Spine CT — 300 mm across the image — sagittal plane, index 135
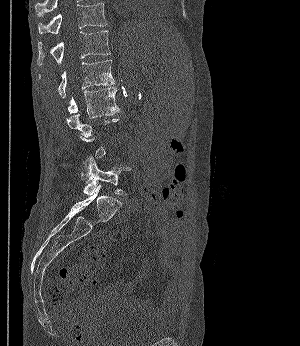
Each vertebra is boxed only on the slices from the first to the last where its cross-section reaches a third of its largest, so a slice outside that range leaves it unboxed.
<vertebrae><v name="T11" x1="38" y1="3" x2="106" y2="34"/><v name="T12" x1="37" y1="30" x2="110" y2="65"/><v name="L1" x1="39" y1="59" x2="114" y2="98"/><v name="L2" x1="68" y1="87" x2="121" y2="118"/><v name="L5" x1="83" y1="154" x2="131" y2="195"/></vertebrae>